Computed tomography of the spine — sagittal plane, index 33 — a portion of the image is blanked out (constant pixel value)
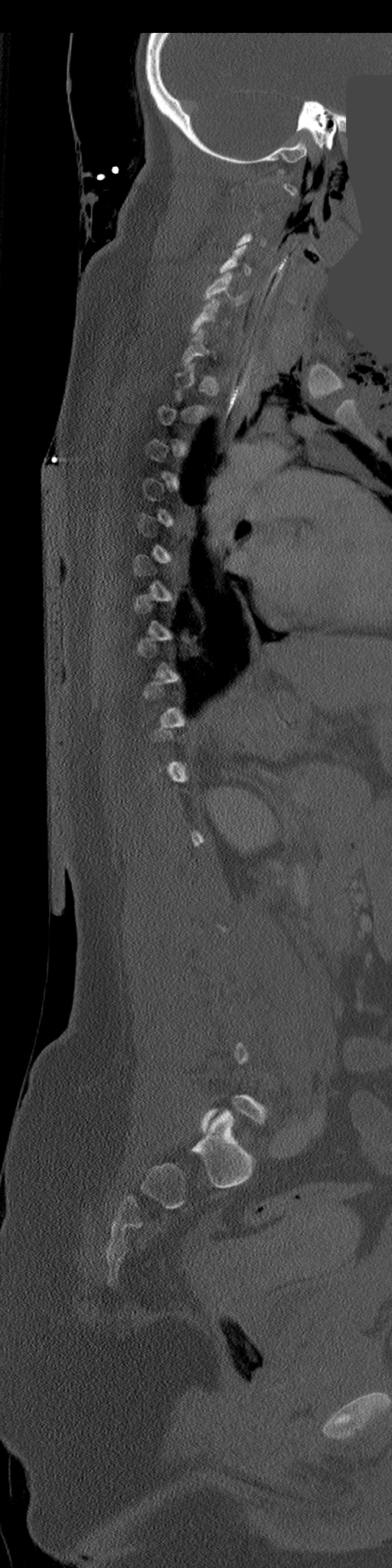

Boxes: x1:y1:x2:y2 in pixels.
Not every vertebra on this slice has a box: a vertebra is boxed only from the first to the last slice where its cross-section is at least a third of its largest, and this slice is outside that range for at least one of them.
C5: 203:273:245:306
C6: 191:299:219:333
C7: 183:329:209:365